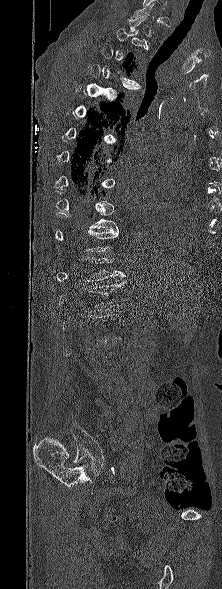

Computed tomography of the spine — sagittal view — image 222 mm wide — 222x589 px
Each vertebra maps to its box as [x1, y1, x2, y2], the pixel coordinates of its top-left and bottom-right corners.
A vertebra is boxed only from the first to the last slice where its cross-section is at least a third of its largest; slices outside that range leave it without a box.
{"vertebrae":{"T3":[101,44,140,86],"T12":[79,257,125,281],"L1":[60,281,125,312]}}